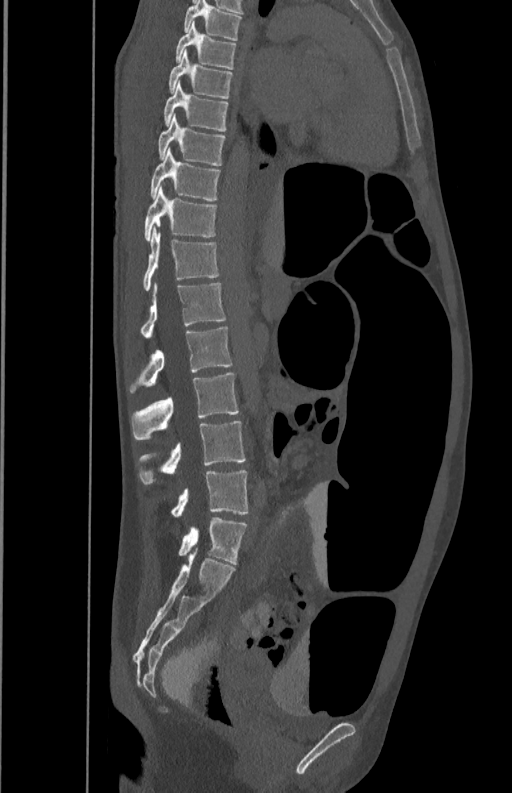

Computed tomography of the spine — sagittal view — Bone window (WL 400, WW 1800) — 512x793 px
Box edges are left/top/right/bottom in pixels.
Vertebra bounding boxes:
- T5: left=184, top=1, right=242, bottom=40
- T6: left=175, top=21, right=236, bottom=69
- T7: left=168, top=53, right=231, bottom=98
- T8: left=164, top=82, right=228, bottom=131
- T9: left=158, top=116, right=226, bottom=165
- T10: left=150, top=147, right=220, bottom=200
- T11: left=145, top=187, right=217, bottom=241
- T12: left=143, top=225, right=220, bottom=290
- L1: left=140, top=282, right=226, bottom=339
- L2: left=130, top=327, right=233, bottom=393
- L3: left=131, top=373, right=239, bottom=439
- L4: left=137, top=421, right=246, bottom=485
- L5: left=171, top=469, right=249, bottom=516